CT, spine; sagittal view; bone-window reconstruction; 228x349 px; 9 vertebrae labeled in this scan
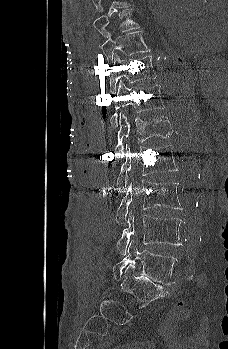
Bounding boxes as [x1, y1, x2, y2] in pixel coordinates. Vertebrae labeled: T9 at [93, 9, 139, 37], T10 at [100, 30, 150, 63], T11 at [110, 55, 156, 93], T12 at [110, 80, 164, 127], L1 at [114, 112, 172, 153], L2 at [117, 145, 178, 185], L3 at [115, 179, 183, 222], L4 at [116, 210, 184, 254], L5 at [112, 240, 177, 284].